Computed tomography of the spine. sagittal reformat. 616x616 px
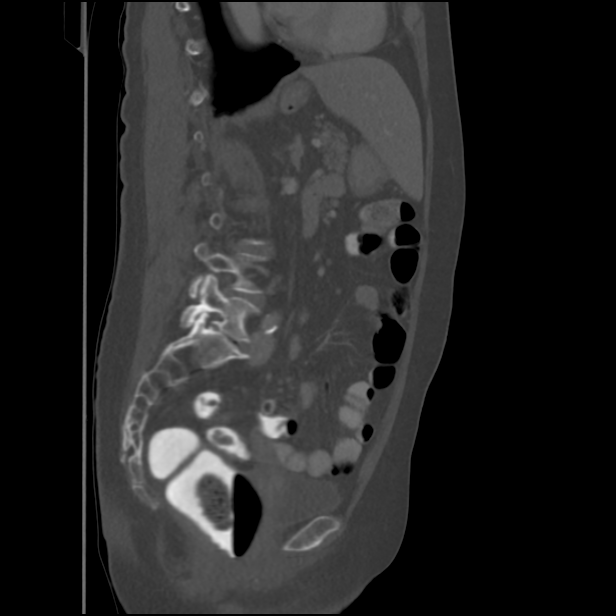
Boxes below are [x1, y1, x2, y2] in pixels.
Each vertebra is boxed only on the slices from the first to the last where its cross-section reaches a third of its largest, so a slice outside that range leaves it unboxed.
{"vertebrae":{"L5":[181,274,259,343],"L4":[189,243,266,297]}}